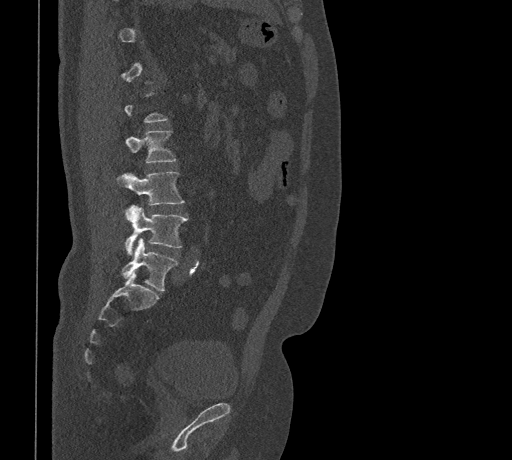

Spine computed tomography · sagittal view · W/L 1800/400 HU · 512x460 px · image width 461 mm

Each box given as x1,y1,x2,y2.
Each vertebra is boxed only on the slices from the first to the last where its cross-section reaches a third of its largest, so a slice outside that range leaves it unboxed.
L2: x1=126, y1=130, x2=175, y2=162
L3: x1=117, y1=171, x2=184, y2=205
L4: x1=125, y1=206, x2=188, y2=255
L5: x1=121, y1=238, x2=177, y2=291